Spine computed tomography. sagittal view. bone-window reconstruction
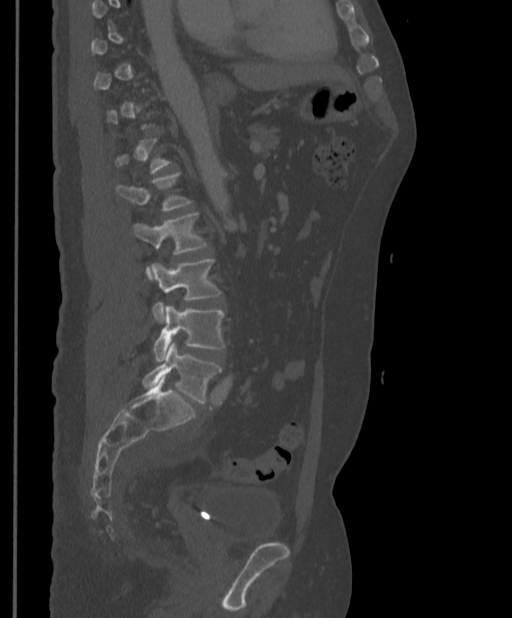 Box edges are left/top/right/bottom in pixels.
Each vertebra is boxed only on the slices from the first to the last where its cross-section reaches a third of its largest, so a slice outside that range leaves it unboxed.
| vertebra | x1 | y1 | x2 | y2 |
|---|---|---|---|---|
| L1 | 116 | 174 | 191 | 211 |
| L2 | 131 | 213 | 206 | 280 |
| L3 | 151 | 259 | 221 | 323 |
| L4 | 153 | 306 | 225 | 361 |
| L5 | 142 | 342 | 221 | 403 |